Spine CT; the image is 230 mm wide; sagittal reformat; scan covers 14 annotated vertebrae
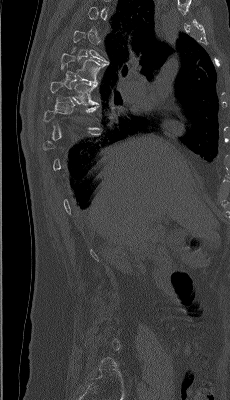
Each box given as x1,y1,x2,y2.
A vertebra is boxed only from the first to the last slice where its cross-section is at least a third of its largest; slices outside that range leave it without a box.
| vertebra | x1 | y1 | x2 | y2 |
|---|---|---|---|---|
| T6 | 61 | 53 | 109 | 84 |
| T7 | 50 | 69 | 97 | 105 |